CT — sagittal view — 512x760 px — scan covers 10 annotated vertebrae
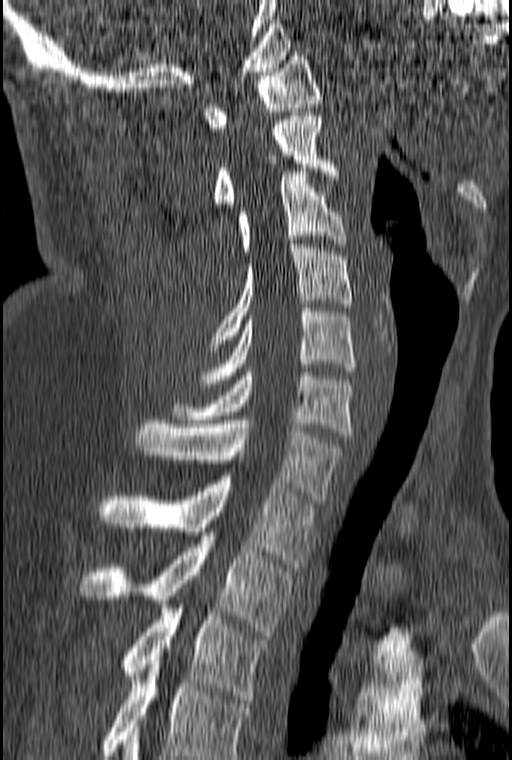
Box edges are left/top/right/bottom in pixels. This scan's labels start at C1 at the top and end at T3 at the bottom. Vertebrae labeled: C1 at left=202, top=52, right=322, bottom=131, C2 at left=213, top=112, right=339, bottom=207, C3 at left=237, top=172, right=347, bottom=255, C4 at left=209, top=244, right=352, bottom=351, C5 at left=201, top=308, right=355, bottom=387, C6 at left=172, top=368, right=352, bottom=435, C7 at left=136, top=420, right=346, bottom=503, T1 at left=97, top=476, right=315, bottom=567, T2 at left=81, top=536, right=291, bottom=635, T3 at left=120, top=608, right=269, bottom=703.